Computed tomography of the spine · sagittal view · the image spans 180 mm across · bone-window reconstruction · 512x789 px
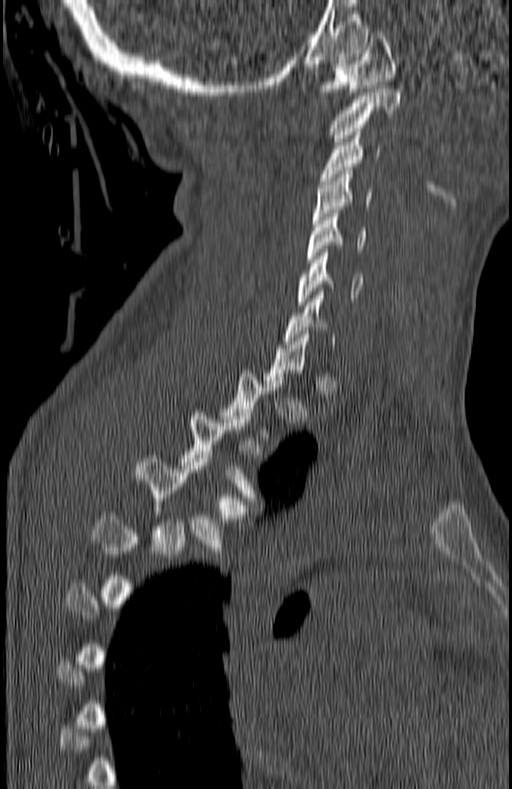 Boxes below are [x1, y1, x2, y2] in pixels.
A vertebra gets a box only on the slices from the first to the last where its cross-section is at least a third of its largest; on a slice outside that range it gets none.
{"vertebrae":{"T4":[135,455,247,554],"T3":[180,412,259,504],"C7":[285,292,336,347],"C6":[297,249,364,305],"C5":[307,210,367,262],"C4":[314,171,373,223],"C3":[320,132,380,184],"C2":[328,89,401,145],"C1":[317,32,395,95]}}